Spine CT. sagittal view
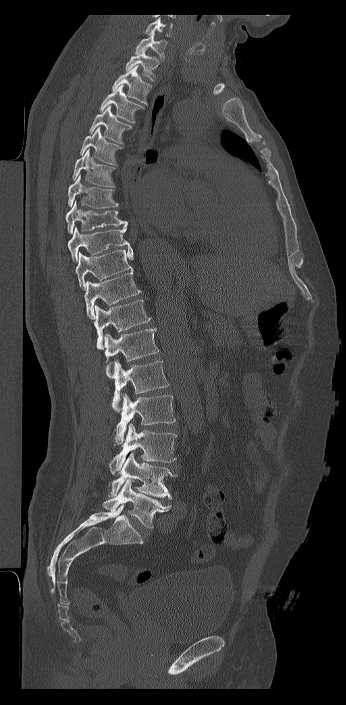

Boxes: x1 y1 x2 y2 (pixel coords, space-separated).
This scan's labels start at C7 at the top and end at L6 at the bottom.
The labels name a sixth lumbar vertebra for this spine: L6, after L5.
C7: 135 32 166 60
T1: 125 49 158 81
T2: 112 65 152 105
T3: 99 83 144 123
T4: 89 105 132 144
T5: 79 127 123 165
T6: 72 148 115 187
T7: 68 174 118 208
T8: 65 200 127 234
T9: 67 223 130 262
T10: 75 247 133 289
T11: 84 270 141 319
T12: 94 299 151 349
L1: 104 328 159 377
L2: 112 359 169 412
L3: 113 393 175 444
L4: 108 422 177 474
L5: 108 452 177 499
L6: 102 479 171 528